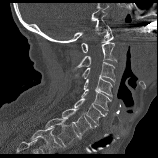

CT — sagittal view — 158x158 px

Boxes are given in columns x1, y1, x2, y2, the pixel coordinates of their top-left and bottom-right corners.
This scan's labels start at C1 at the top and end at T1 at the bottom.
| vertebra | x1 | y1 | x2 | y2 |
|---|---|---|---|---|
| T1 | 45 | 118 | 79 | 146 |
| C7 | 62 | 108 | 92 | 138 |
| C6 | 74 | 98 | 107 | 127 |
| C5 | 81 | 89 | 111 | 110 |
| C4 | 84 | 78 | 112 | 97 |
| C3 | 73 | 62 | 115 | 84 |
| C2 | 72 | 43 | 117 | 70 |
| C1 | 81 | 26 | 113 | 52 |